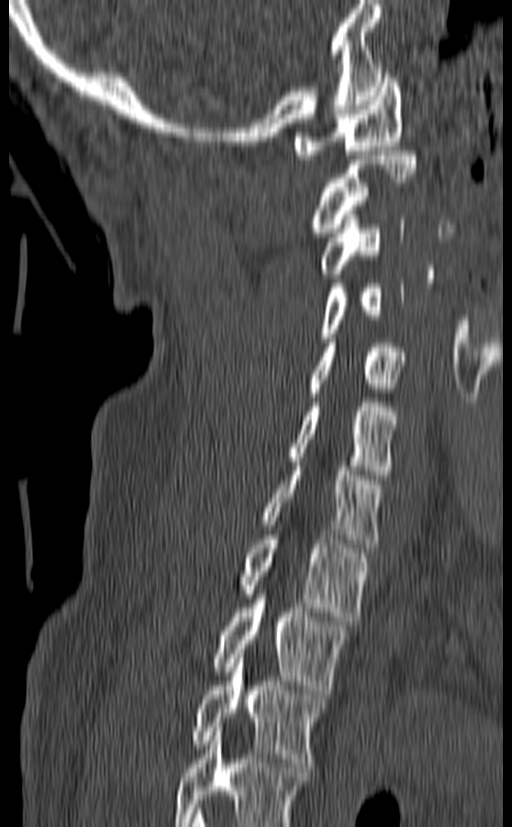

Spine CT — sagittal view — bone-window reconstruction — 512x827 px

Boxes: x1 y1 x2 y2 (pixel coords, space-separated).
The highest labeled vertebra in this scan is C1; the lowest is T3.
Vertebra bounding boxes:
- C1: 294 69 403 159
- C2: 312 151 417 237
- C3: 320 215 404 278
- C4: 320 279 404 342
- C5: 309 343 406 397
- C6: 287 398 399 479
- C7: 261 462 381 548
- T1: 239 530 370 621
- T2: 213 594 349 694
- T3: 192 654 326 767